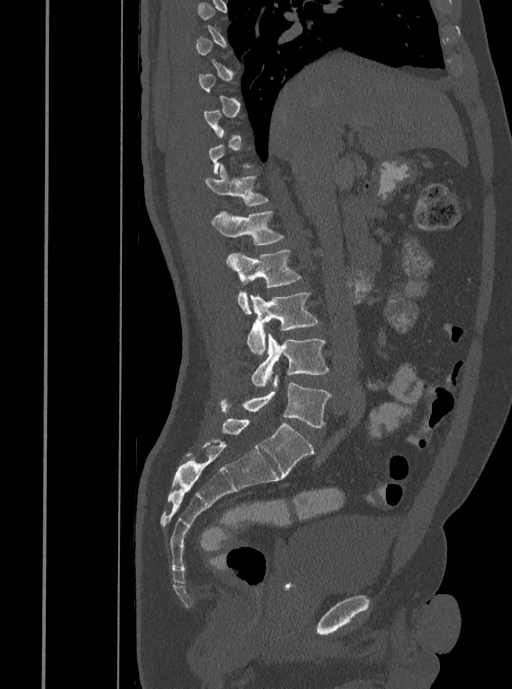

Spine computed tomography — sagittal view — bone window
Boxes below are [x1, y1, x2, y2] in pixels.
Not every vertebra on this slice has a box: a vertebra is boxed only from the first to the last slice where its cross-section is at least a third of its largest, and this slice is outside that range for at least one of them.
{"vertebrae":{"T12":[205,165,267,206],"L1":[211,210,284,245],"L2":[227,250,300,313],"L3":[247,293,318,355],"L4":[251,333,329,386],"L5":[221,374,331,427]}}